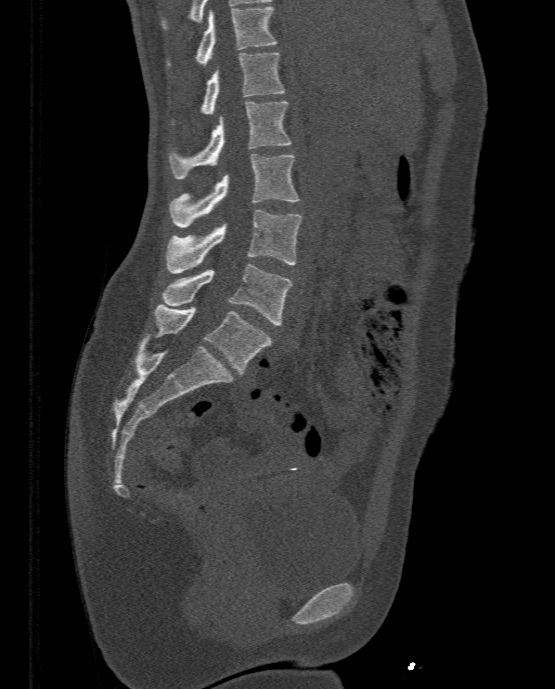
Spine CT; sagittal view; bone window; 555x689 px; the image spans 333 mm across
Box edges are left/top/right/bottom in pixels.
| vertebra | x1 | y1 | x2 | y2 |
|---|---|---|---|---|
| T11 | 166 | 6 | 276 | 66 |
| T12 | 170 | 52 | 285 | 124 |
| L1 | 168 | 101 | 292 | 178 |
| L2 | 168 | 154 | 298 | 227 |
| L3 | 166 | 210 | 303 | 273 |
| L4 | 162 | 263 | 293 | 325 |
| L5 | 155 | 303 | 272 | 373 |